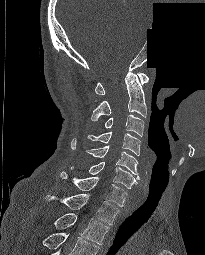

Computed tomography of the spine; sagittal view; part of the scan has been removed (filled with constant black)
Coordinates as <box>x1,y1,x2,y2</box>. In this scan, the topmost labeled vertebra is C1 and the lowest is T2. The labeled vertebrae in this slice are: C1 at <box>95,72,148,94</box>, C2 at <box>91,72,146,120</box>, C3 at <box>104,114,144,136</box>, C4 at <box>87,131,140,155</box>, C5 at <box>86,145,139,179</box>, C6 at <box>71,162,137,188</box>, C7 at <box>60,171,127,206</box>, T1 at <box>45,194,120,224</box>, T2 at <box>54,213,108,244</box>.